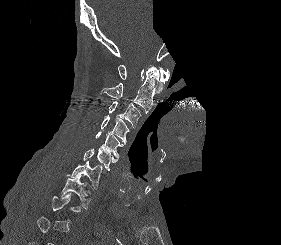 CT spine. sagittal view. the image is 281 mm wide. bone window. a portion of the image is blanked out (constant pixel value)
Each box is [x1, y1, x2, y2] in pixels: top-left corner, then bottom-right corner.
Each vertebra is boxed only on the slices from the first to the last where its cross-section reaches a third of its largest, so a slice outside that range leaves it unboxed.
{"vertebrae":{"T1":[60,175,91,209],"C7":[67,160,102,189],"C6":[83,148,117,171],"C5":[95,131,123,158],"C4":[101,115,129,144],"C3":[108,101,141,128],"C2":[100,66,158,113],"C1":[118,65,169,93]}}